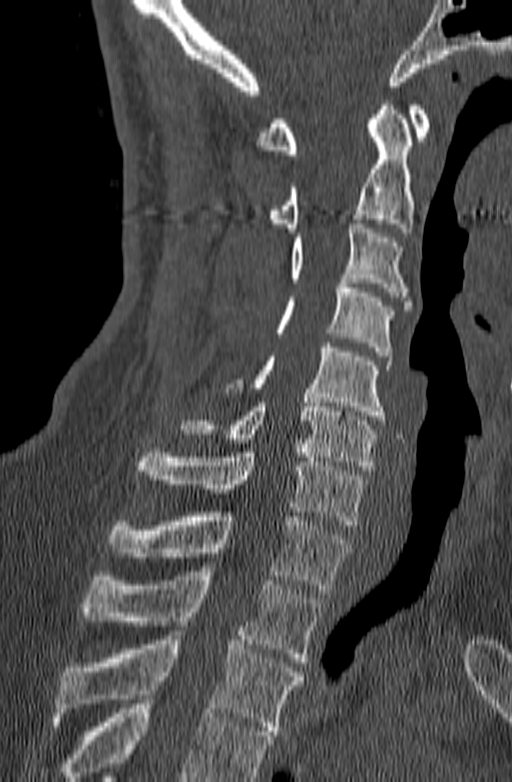
CT, spine. sagittal view. Bone window (WL 400, WW 1800)
Bounding boxes as [x1, y1, x2, y2] in pixel coordinates.
Where the bottom of the scan cuts through a vertebra, that vertebra gets no label or box.
Vertebra bounding boxes:
- C1: [257, 105, 429, 154]
- C2: [268, 101, 414, 232]
- C3: [290, 219, 411, 310]
- C4: [276, 279, 392, 356]
- C5: [225, 343, 391, 420]
- C6: [178, 398, 377, 470]
- C7: [135, 448, 366, 525]
- T1: [107, 512, 351, 593]
- T2: [81, 571, 320, 662]
- T3: [53, 631, 303, 735]